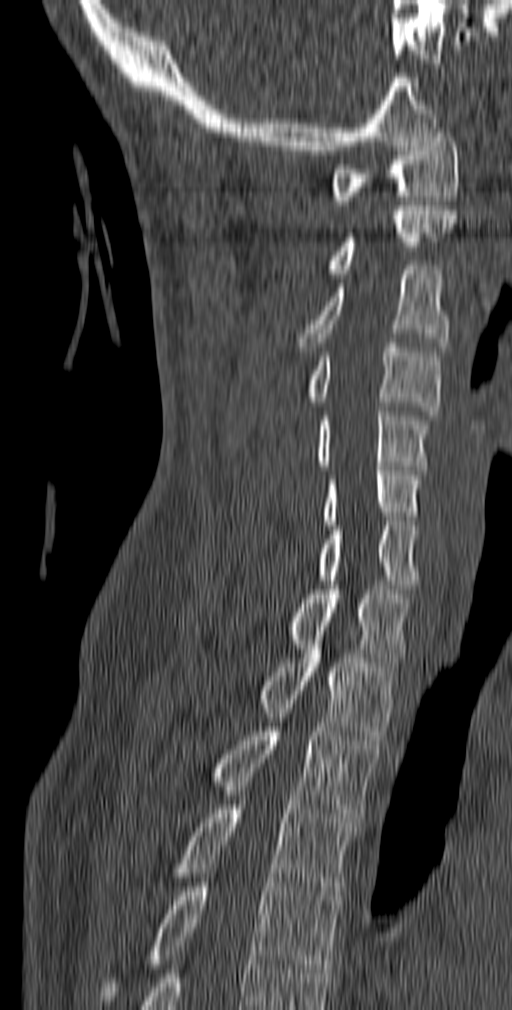 CT, spine. sagittal reformat. bone-window reconstruction. 512x1010 px

Box values are [left, top, right, bottom] in pixels.
{"vertebrae":{"C1":[330,128,459,205],"C2":[327,206,456,273],"C3":[298,265,449,351],"C4":[305,343,441,415],"C5":[316,407,432,470],"C6":[323,466,422,525],"C7":[318,521,417,589],"T1":[288,585,410,666],"T2":[260,640,396,740],"T3":[210,718,380,822],"T4":[174,805,356,900],"T5":[100,878,340,1005]}}